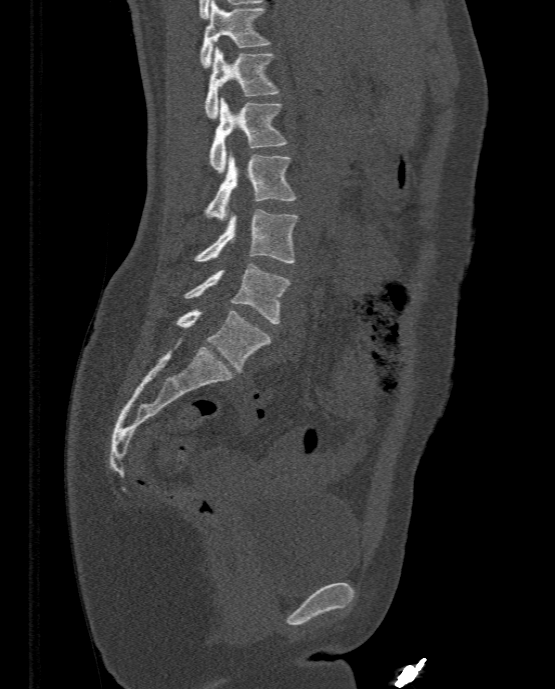 Spine CT · sagittal reformat · 555x689 px · image width 333 mm
Bounding boxes as [x1, y1, x2, y2] in pixel coordinates.
Vertebra bounding boxes:
- T11: [199, 0, 270, 67]
- T12: [204, 46, 279, 119]
- L1: [209, 98, 287, 173]
- L2: [204, 153, 295, 219]
- L3: [194, 210, 297, 263]
- L4: [183, 263, 291, 323]
- L5: [157, 308, 270, 372]